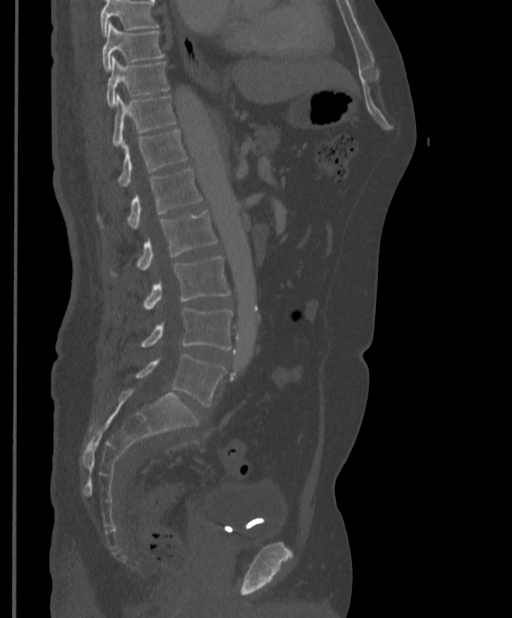

Spine CT · 397 mm wide · sagittal view · Bone window (WL 400, WW 1800)

Coordinates as <box>x1,y1,x2,y2</box>. Where the top of the scan cuts through a vertebra, that vertebra gets no label or box. The labeled vertebrae in this slice are: L5 at <box>135,353,226,407</box>, L4 at <box>140,308,232,350</box>, L3 at <box>142,257,231,309</box>, L2 at <box>111,210,218,276</box>, L1 at <box>98,168,203,229</box>, T12 at <box>117,129,188,186</box>, T11 at <box>112,94,177,146</box>, T10 at <box>106,57,169,107</box>, T9 at <box>102,22,165,71</box>.